CT, spine. sagittal reformat. W/L 1800/400 HU. scan covers 10 annotated vertebrae
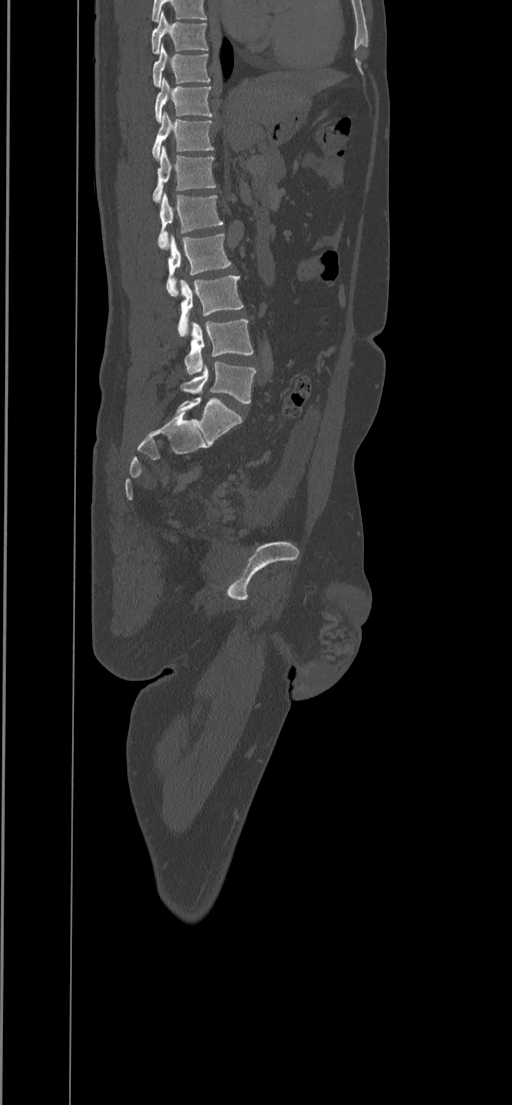

Boxes: x1:y1:x2:y2 in pixels.
L5: 180:362:256:402
L4: 184:319:254:374
L3: 178:275:243:337
L2: 166:234:231:296
L1: 158:193:223:250
T12: 152:147:216:202
T11: 152:110:214:160
T10: 154:78:212:122
T9: 152:44:210:87
T8: 151:11:208:54